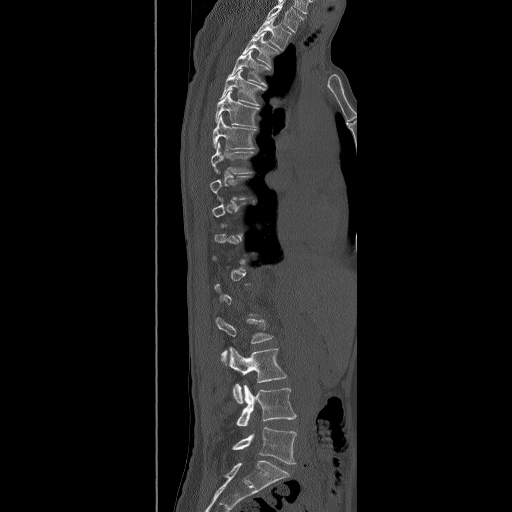
Spine CT; sagittal view; W/L 1800/400 HU; 512x512 px

Coordinates as <box>x1,y1,x2,y2</box>. Not every vertebra on this slice has a box: a vertebra is boxed only from the first to the last slice where its cross-section is at least a third of its largest, and this slice is outside that range for at least one of them. In this scan, the topmost labeled vertebra is T2 and the lowest is L5. Vertebrae labeled: T2 at <box>252,16,292,50</box>, T3 at <box>242,32,279,67</box>, T4 at <box>228,50,269,86</box>, T5 at <box>219,69,265,105</box>, T6 at <box>214,90,259,127</box>, T7 at <box>212,115,256,149</box>, T8 at <box>210,142,253,174</box>, L2 at <box>216,317,273,365</box>, L3 at <box>229,347,287,403</box>, L4 at <box>236,384,296,426</box>, L5 at <box>232,427,296,464</box>.